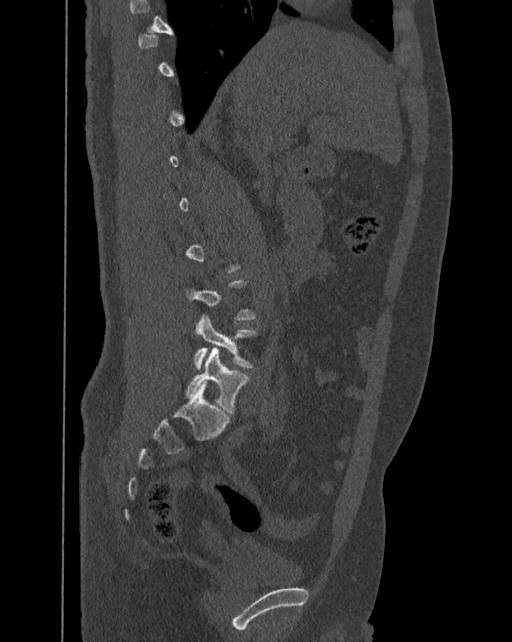
Spine CT — sagittal view — the image is 392 mm wide — Bone window (WL 400, WW 1800)
Each box given as x1,y1,x2,y2.
A vertebra gets a box only on the slices from the first to the last where its cross-section is at least a third of its largest; on a slice outside that range it gets none.
In these labels the spine has an L6, a sixth lumbar vertebra below L5.
| vertebra | x1 | y1 | x2 | y2 |
|---|---|---|---|---|
| L6 | 185 | 348 | 250 | 413 |
| L5 | 193 | 315 | 256 | 369 |